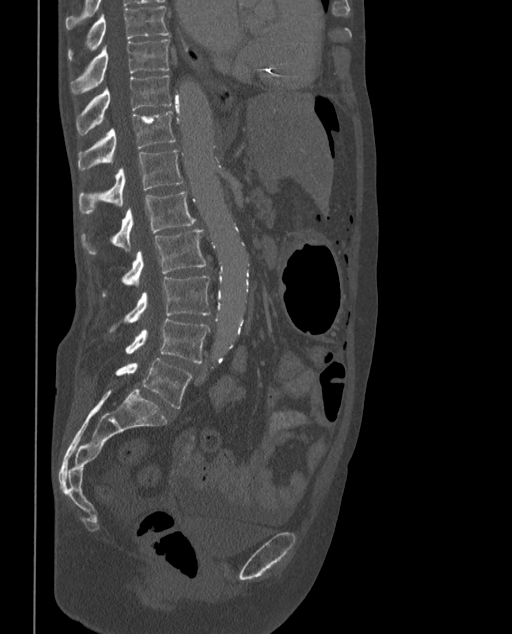 CT spine; sagittal view
Boxes below are [x1, y1, x2, y2] in pixels.
In these labels the spine has an L6, a sixth lumbar vertebra below L5.
{"vertebrae":{"T9":[67,5,169,62],"T10":[70,40,169,93],"T11":[77,75,172,135],"T12":[78,111,176,171],"L1":[78,149,183,213],"L2":[82,191,195,253],"L3":[103,229,206,295],"L4":[110,275,210,331],"L5":[125,319,209,362],"L6":[116,358,192,408]}}